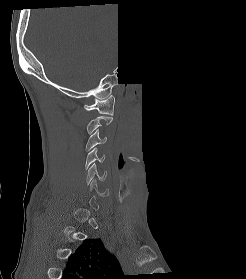

Spine computed tomography — 246 mm wide — sagittal view — 246x279 px — a region is blanked to uniform black, ending in a straight edge
Boxes below are [x1, y1, x2, y2] in pixels.
Each vertebra is boxed only on the slices from the first to the last where its cross-section reaches a third of its largest, so a slice outside that range leaves it unboxed.
{"vertebrae":{"C1":[84,95,114,115],"C2":[86,116,112,133],"C3":[85,129,106,151],"C4":[85,148,105,169],"C5":[86,163,106,184]}}